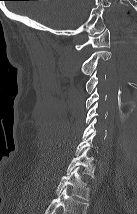

CT. 137 mm across the image. sagittal view. bone-window reconstruction
Each vertebra maps to its box as [x1, y1, x2, y2], the pixel coordinates of its top-left and bottom-right corners.
Each vertebra is boxed only on the slices from the first to the last where its cross-section reaches a third of its largest, so a slice outside that range leaves it unboxed.
This scan's labels start at C1 at the top and end at T2 at the bottom.
{"vertebrae":{"C1":[75,28,110,50],"C2":[81,50,111,75],"C3":[86,70,105,94],"C4":[86,88,106,109],"C5":[86,102,107,123],"C6":[82,118,106,140],"T1":[67,147,95,178],"T2":[56,166,89,200]}}